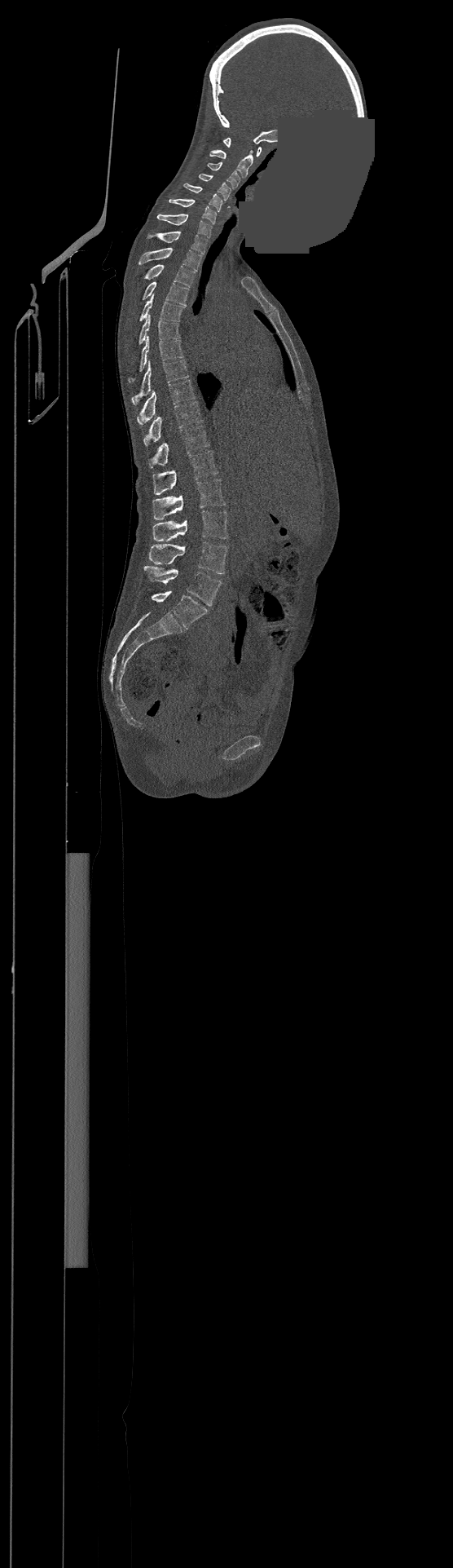
Computed tomography of the spine — sagittal view — bone-window reconstruction — 453x1568 px — a uniform gray block covers part of the image
Each box is [x1, y1, x2, y2] in pixels: top-left corner, then bottom-right corner.
Labels in this scan begin with C1 at the top and end with L4 at the bottom.
{"vertebrae":{"C1":[224,138,261,157],"C2":[209,149,253,178],"C3":[207,163,240,188],"C4":[199,174,231,200],"C5":[184,183,222,211],"C6":[169,199,217,223],"C7":[157,214,213,237],"T1":[147,232,208,254],"T2":[139,248,201,271],"T3":[144,264,194,287],"T4":[143,281,188,305],"T5":[139,294,184,320],"T6":[139,314,179,344],"T7":[128,336,183,382],"T8":[132,360,188,404],"T9":[137,380,195,425],"T10":[144,402,201,445],"T11":[148,426,209,468],"T12":[153,451,218,494],"L1":[153,479,226,520],"L2":[153,510,227,541],"L3":[149,541,227,573],"L4":[144,566,221,605]}}